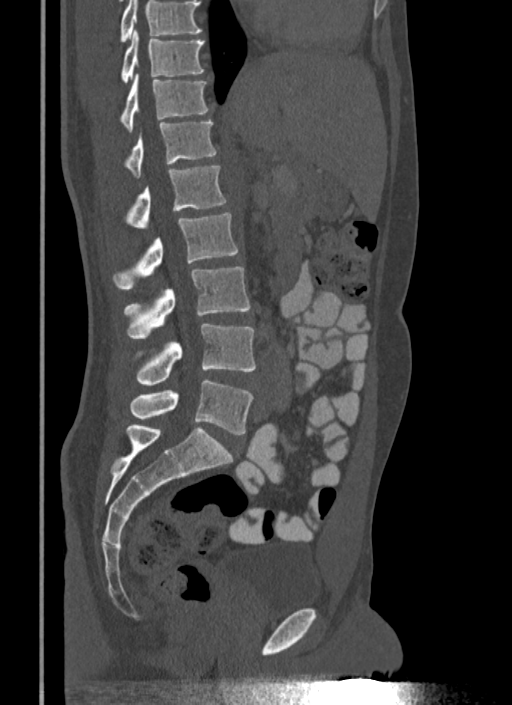
CT, spine · sagittal reformat
No box is given to a vertebra that the top edge of the scan cuts off.
<vertebrae><v name="T10" x1="122" y1="30" x2="204" y2="82"/><v name="T11" x1="122" y1="74" x2="211" y2="130"/><v name="T12" x1="126" y1="120" x2="216" y2="177"/><v name="L1" x1="128" y1="166" x2="226" y2="229"/><v name="L2" x1="114" y1="212" x2="238" y2="288"/><v name="L3" x1="125" y1="267" x2="250" y2="338"/><v name="L4" x1="137" y1="324" x2="255" y2="385"/><v name="L5" x1="131" y1="379" x2="253" y2="434"/></vertebrae>